CT spine; sagittal plane, index 196; 512x1010 px
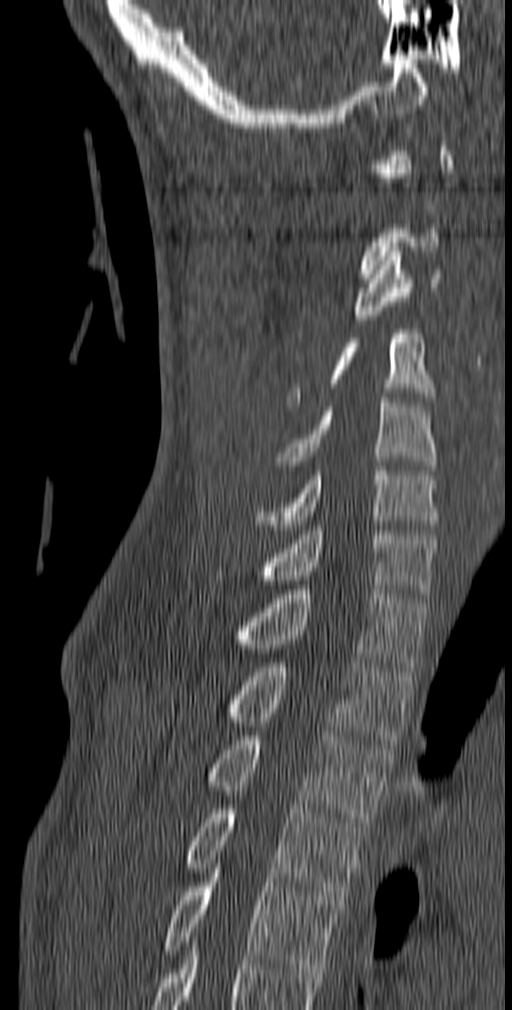

Each vertebra is boxed only on the slices from the first to the last where its cross-section reaches a third of its largest, so a slice outside that range leaves it unboxed.
<vertebrae><v name="C3" x1="352" y1="247" x2="443" y2="324"/><v name="C4" x1="287" y1="329" x2="436" y2="406"/><v name="C5" x1="276" y1="398" x2="436" y2="470"/><v name="C6" x1="255" y1="466" x2="439" y2="534"/><v name="C7" x1="257" y1="526" x2="437" y2="598"/><v name="T1" x1="233" y1="585" x2="426" y2="671"/><v name="T2" x1="223" y1="658" x2="412" y2="744"/><v name="T3" x1="206" y1="736" x2="393" y2="826"/><v name="T4" x1="184" y1="805" x2="365" y2="900"/><v name="T5" x1="162" y1="869" x2="340" y2="973"/></vertebrae>